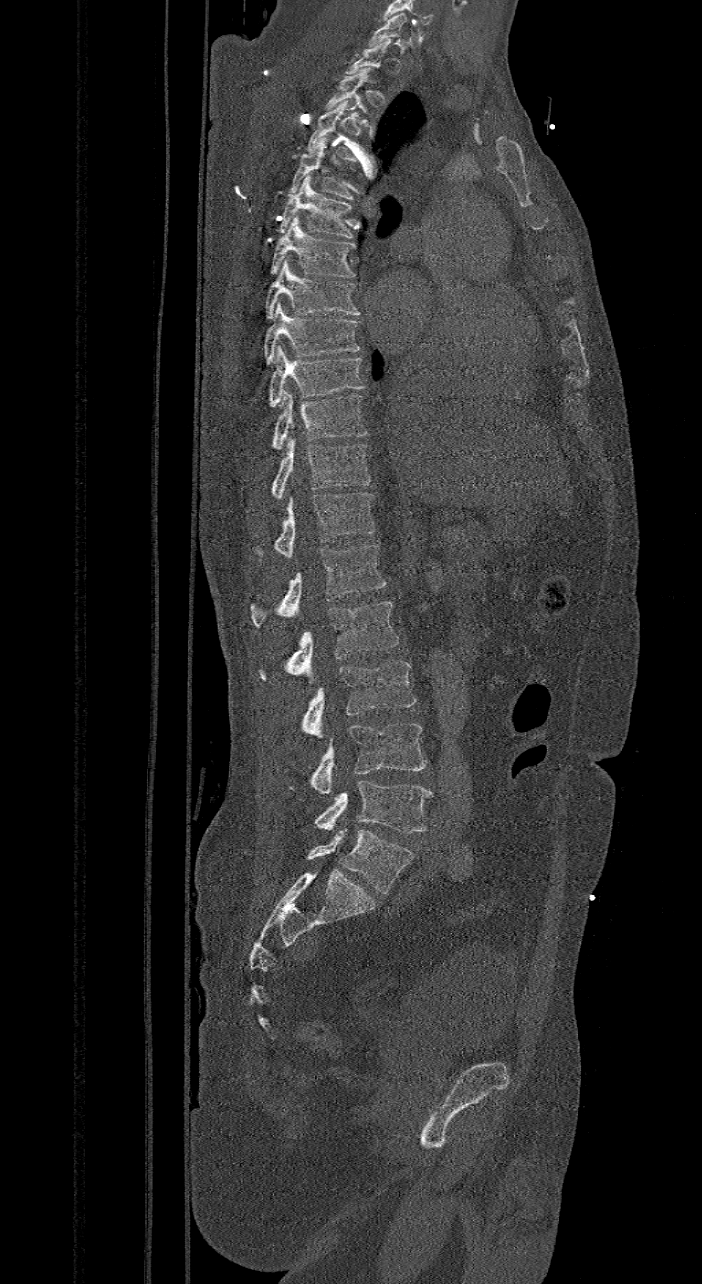 CT spine — sagittal view — Bone window (WL 400, WW 1800)

Boxes: x1:y1:x2:y2 in pixels.
Each vertebra is boxed only on the slices from the first to the last where its cross-section reaches a third of its largest, so a slice outside that range leaves it unboxed.
The labels name a sixth lumbar vertebra for this spine: L6, after L5.
Vertebra bounding boxes:
- L6: 307:829:414:893
- L5: 315:781:432:833
- L4: 288:723:427:793
- L3: 301:661:416:741
- L2: 260:600:399:678
- L1: 252:545:385:626
- T12: 252:492:376:556
- T11: 271:437:370:497
- T10: 271:390:368:448
- T9: 269:344:366:406
- T8: 264:302:362:364
- T7: 264:259:364:318
- T6: 270:216:355:277
- T5: 280:175:353:238
- T4: 288:137:355:199
- T3: 307:100:357:161
- T2: 325:67:370:124
- C7: 367:13:407:47